CT — sagittal reformat — the image is 289 mm wide — Bone window (WL 400, WW 1800)
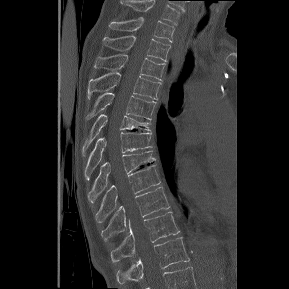
Coordinates as <box>x1,y1,x2,y2</box>.
Labels in this scan begin with T1 at the top and end with T12 at the bottom.
Vertebra bounding boxes:
- T1: <box>109,17,174,41</box>
- T2: <box>103,35,170,61</box>
- T3: <box>95,54,165,80</box>
- T4: <box>88,72,161,99</box>
- T5: <box>85,92,156,119</box>
- T6: <box>82,114,150,155</box>
- T7: <box>85,132,151,179</box>
- T8: <box>88,150,156,202</box>
- T9: <box>95,164,160,222</box>
- T10: <box>101,186,169,242</box>
- T11: <box>110,211,180,262</box>
- T12: <box>116,237,189,284</box>